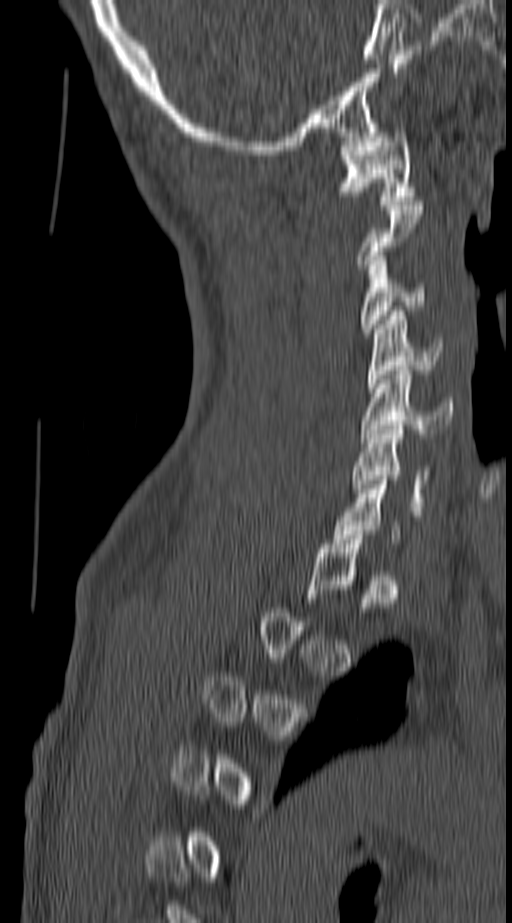

Spine CT — sagittal view — bone-window reconstruction — 512x923 px
Boxes below are [x1, y1, x2, y2] in pixels.
A vertebra is boxed only from the first to the last slice where its cross-section is at least a third of its largest; slices outside that range leave it without a box.
{"vertebrae":{"C1":[338,128,414,205],"C3":[360,256,425,333],"C4":[367,311,441,388],"C5":[361,370,453,442],"C6":[350,425,431,511]}}